Computed tomography of the spine. sagittal reformat. Bone window (WL 400, WW 1800)
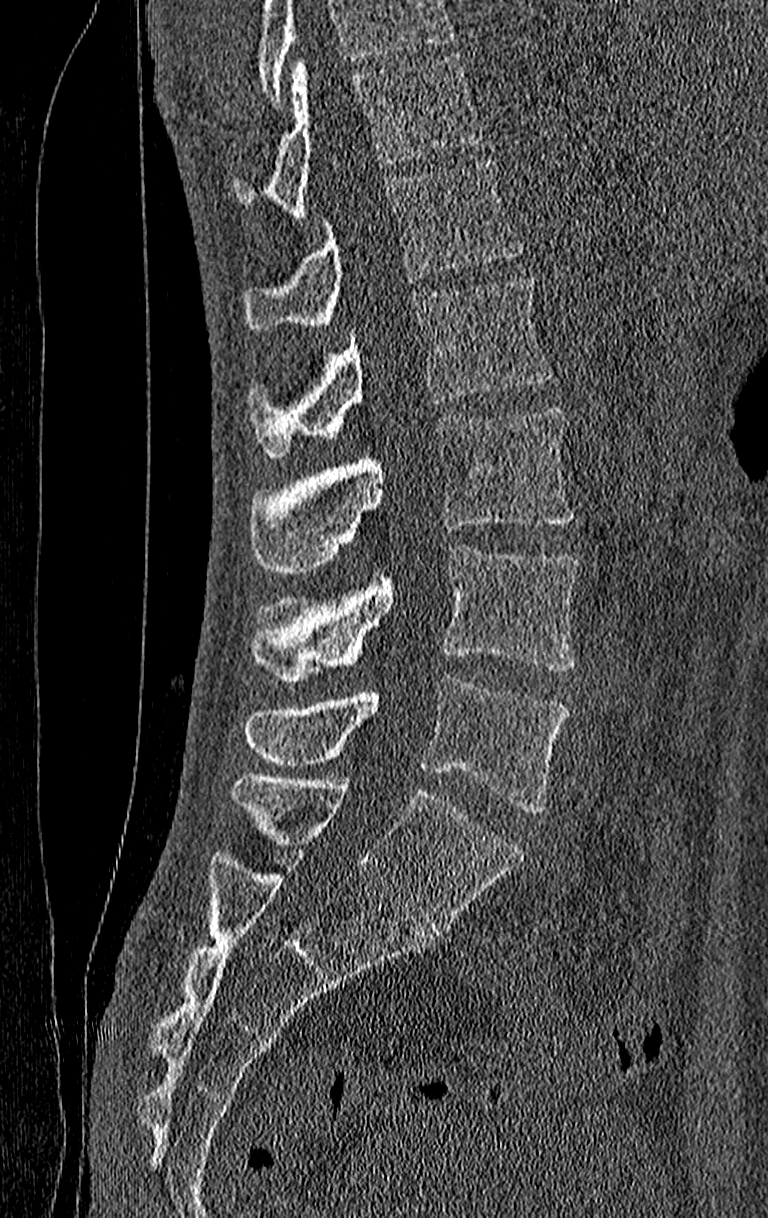
Box values are [left, top, right, bottom] in pixels.
No box is given to a vertebra that the top edge of the scan cuts off.
This scan's labels start at T11 at the top and end at L4 at the bottom.
{"vertebrae":{"L4":[244,678,568,812],"L3":[251,546,579,680],"L2":[247,406,572,573],"L1":[247,278,554,457],"T12":[244,158,524,330],"T11":[233,53,480,216]}}